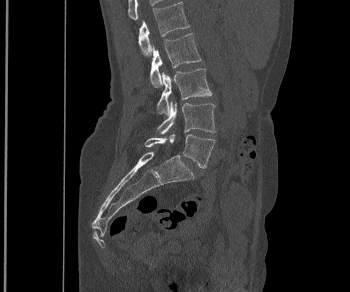
CT, spine — sagittal view — Bone window (WL 400, WW 1800) — 350x292 px. Boxes are (x1, y1, x2, y2) in pixels.
Vertebra bounding boxes:
- L1: (138, 1, 189, 55)
- L2: (150, 33, 201, 87)
- L3: (157, 68, 211, 115)
- L4: (157, 100, 215, 134)
- L5: (145, 134, 215, 168)